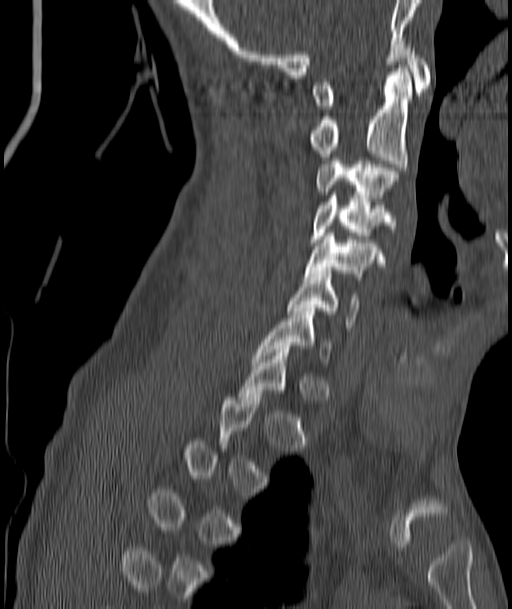

CT — sagittal view — 512x609 px
Coordinates as <box>x1,y1,x2,y2</box>.
Each vertebra is boxed only on the slices from the first to the last where its cross-section reaches a third of its largest, so a slice outside that range leaves it unboxed.
Vertebra bounding boxes:
- C1: <box>313,44,430,109</box>
- C2: <box>310,68,412,170</box>
- C3: <box>316,161,397,198</box>
- C4: <box>311,195,389,242</box>
- C5: <box>305,233,378,276</box>
- C6: <box>288,270,359,328</box>
- C7: <box>255,308,329,362</box>